Computed tomography of the spine. sagittal reformat. the image spans 500 mm across. bone window. 8 vertebrae labeled in this scan
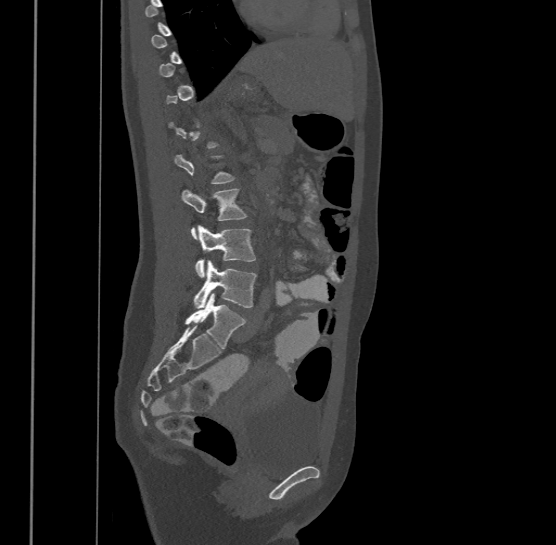

Each vertebra maps to its box as [x1, y1, x2, y2], the pixel coordinates of its top-left and bottom-right corners.
Each vertebra is boxed only on the slices from the first to the last where its cross-section reaches a third of its largest, so a slice outside that range leaves it unboxed.
In this scan, the topmost labeled vertebra is T9 and the lowest is L4.
{"vertebrae":{"L4":[193,260,257,307],"L3":[195,225,256,277],"L2":[182,188,246,238]}}